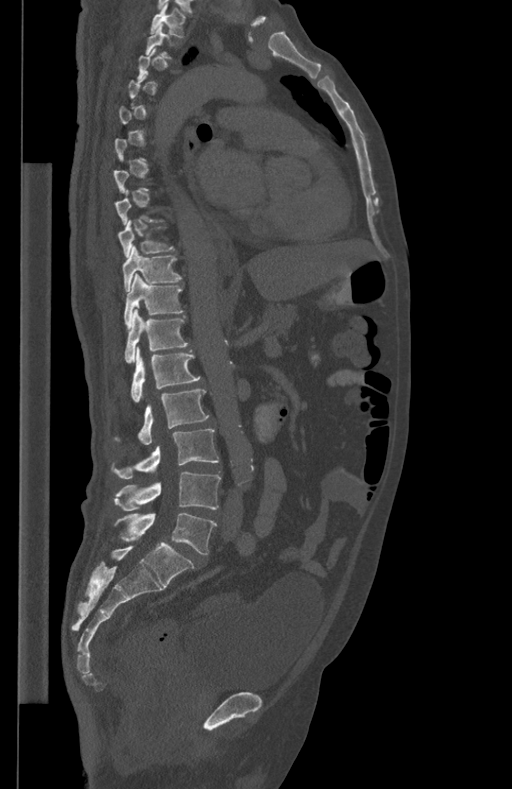
CT, spine; sagittal view; Bone window (WL 400, WW 1800)
Each vertebra maps to its box as [x1, y1, x2, y2], the pixel coordinates of its top-left and bottom-right corners.
A vertebra gets a box only on the slices from the first to the last where its cross-section is at least a third of its largest; on a slice outside that range it gets none.
{"vertebrae":{"L5":[116,513,216,554],"L4":[114,471,221,510],"L3":[113,429,218,479],"L2":[138,389,209,445],"L1":[131,346,199,402],"T12":[125,308,188,363],"T11":[124,273,183,328],"T10":[121,245,182,290],"T9":[118,220,174,257],"T1":[151,3,185,36]}}